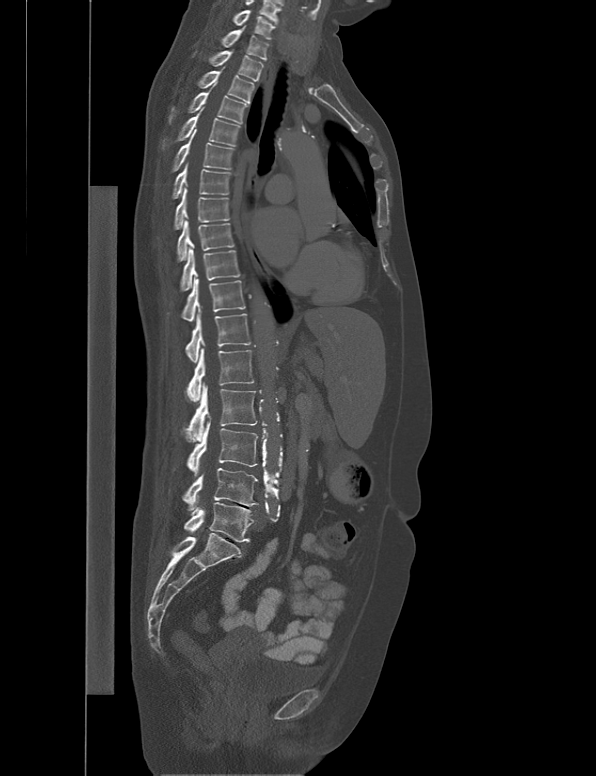
CT — the image is 538 mm wide — sagittal view — bone window
Boxes: x1 y1 x2 y2 (pixel coords, space-separated).
Vertebra bounding boxes:
- L5: 184 502 253 542
- L4: 181 468 259 511
- L3: 186 417 257 476
- L2: 181 383 257 441
- L1: 186 348 254 401
- T12: 185 307 251 362
- T11: 181 276 245 321
- T10: 180 248 239 290
- T9: 176 219 234 263
- T8: 173 187 229 229
- T7: 172 163 231 198
- T6: 172 129 234 171
- T5: 162 107 240 148
- T4: 169 81 247 123
- T3: 197 66 254 103
- T2: 208 49 263 81
- T1: 221 25 269 61
- C7: 233 10 275 39